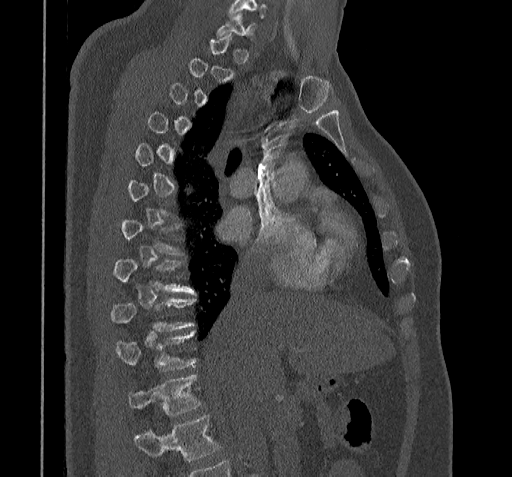 CT spine · sagittal reformat · 512x477 px
Box values are [left, top, right, bottom] in pixels.
A vertebra gets a box only on the slices from the first to the last where its cross-section is at least a third of its largest; on a slice outside that range it gets none.
No box is given to a vertebra that the bottom edge of the scan cuts off.
{"vertebrae":{"C7":[216,13,256,38],"T8":[113,259,194,294],"T9":[111,299,194,331],"T10":[116,332,196,371],"T11":[128,375,201,415]}}